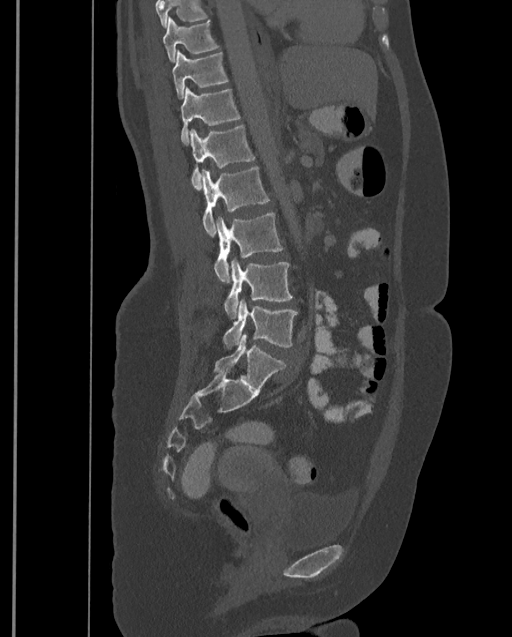
CT, spine · sagittal reformat

Each box given as x1,y1,x2,y2.
Vertebrae that run past the top of the scan are left unlabeled.
Labels in this scan begin with T9 at the top and end with L4 at the bottom.
T9: x1=163, y1=16, x2=218, y2=63
T10: x1=172, y1=50, x2=227, y2=99
T11: x1=181, y1=87, x2=240, y2=146
T12: x1=189, y1=126, x2=254, y2=190
L1: x1=201, y1=166, x2=268, y2=237
L2: x1=214, y1=212, x2=282, y2=283
L3: x1=224, y1=259, x2=293, y2=319
L4: x1=223, y1=299, x2=297, y2=349